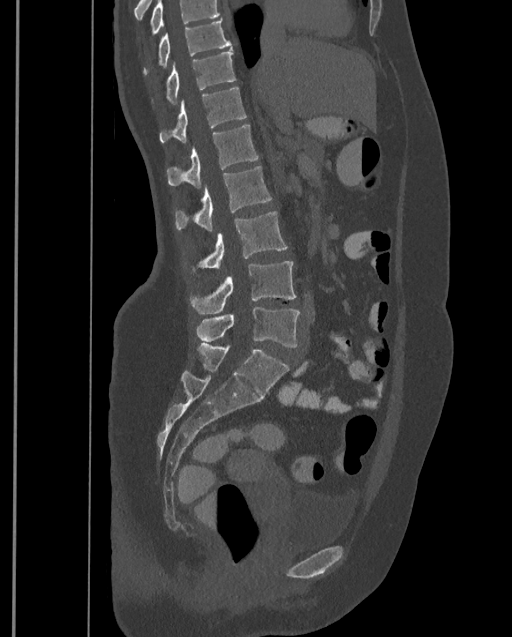 CT; sagittal reformat; bone window; 399 mm across the image
Each vertebra maps to its box as [x1, y1, x2, y2], the pixel coordinates of its top-left and bottom-right corners.
A vertebra cut off by the top edge of the scan is not labeled and has no box.
The highest labeled vertebra in this scan is T9; the lowest is L4.
{"vertebrae":{"T9":[143,20,231,74],"T10":[165,50,235,103],"T11":[159,87,247,143],"T12":[165,125,258,187],"L1":[176,166,271,231],"L2":[199,211,288,268],"L3":[191,260,297,314],"L4":[196,306,299,347]}}